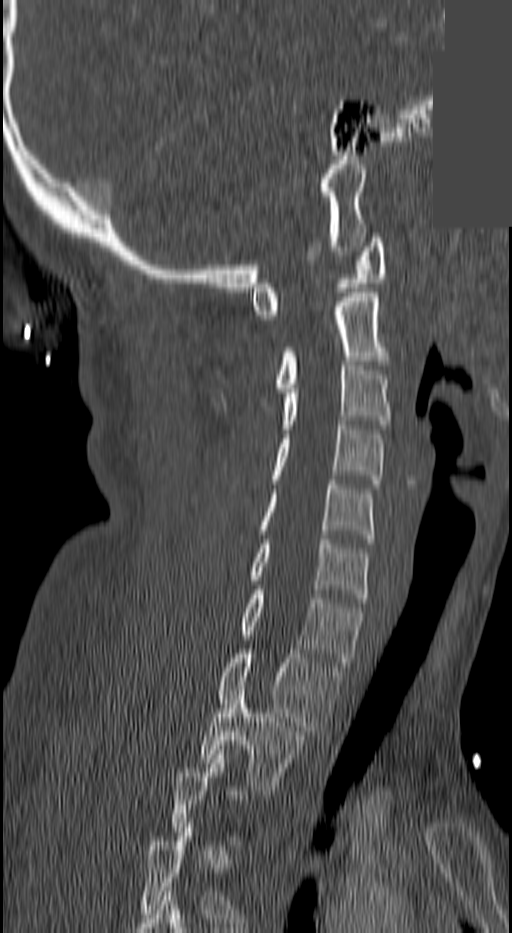

Computed tomography of the spine — sagittal reformat — 512x933 px — a uniform gray block covers part of the image
Coordinates as <box>x1,y1,x2,y2</box>.
Not every vertebra on this slice has a box: a vertebra is boxed only from the first to the last slice where its cross-section is at least a third of its largest, and this slice is outside that range for at least one of them.
Vertebra bounding boxes:
- T2: <box>199,690,304,794</box>
- T1: <box>217,649,340,735</box>
- C7: <box>239,590,362,666</box>
- C6: <box>250,539,370,602</box>
- C5: <box>257,480,373,543</box>
- C4: <box>247,421,384,502</box>
- C3: <box>281,361,392,433</box>
- C2: <box>276,293,388,392</box>
- C1: <box>250,238,384,319</box>